CT; Sagittal slice 233/512; 453x1568 px; 23 vertebrae labeled in this scan; some of the image was removed or blocked out with constant pixels
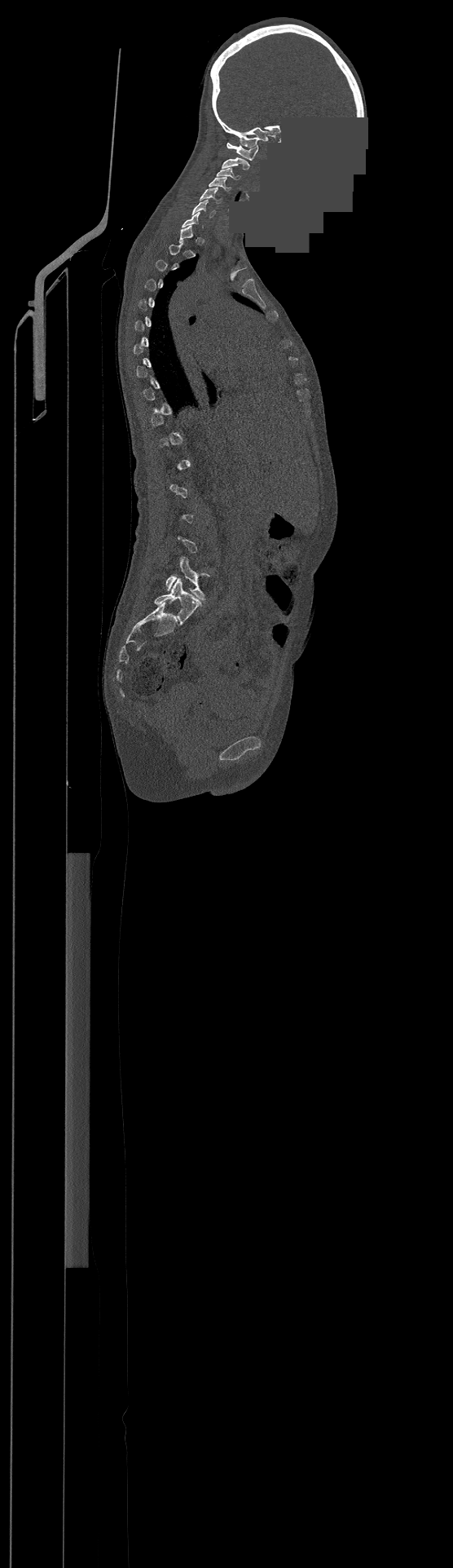
Boxes are (x1, y1, x2, y2) in pixels.
A vertebra is boxed only from the first to the last slice where its cross-section is at least a third of its largest; slices outside that range leave it without a box.
The highest labeled vertebra in this scan is C1; the lowest is L4.
C1: (226, 143, 258, 160)
C2: (222, 157, 250, 170)
C3: (217, 168, 240, 179)
C4: (209, 177, 230, 190)
C5: (200, 188, 222, 204)
C6: (191, 199, 215, 217)
L4: (165, 557, 210, 600)